Spine computed tomography; sagittal view
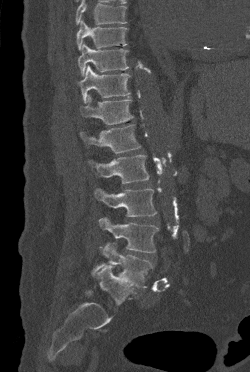
Boxes: x1 y1 x2 y2 (pixel coords, space-separated).
No box is given to a vertebra that the top edge of the scan cuts off.
Vertebra bounding boxes:
- T9: 76 20 127 50
- T10: 78 42 128 76
- T11: 78 65 130 102
- T12: 80 95 133 124
- L1: 80 124 140 153
- L2: 89 154 149 183
- L3: 94 188 157 216
- L4: 98 217 158 252
- L5: 92 242 153 287